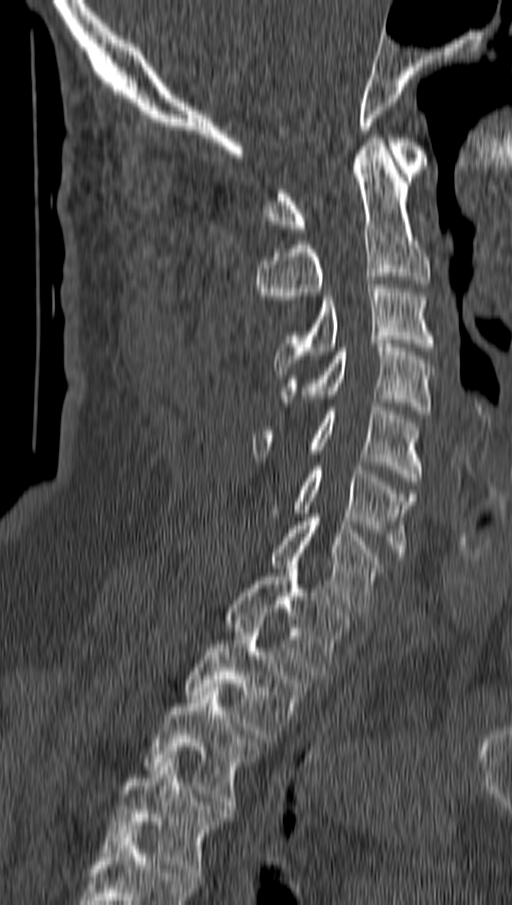
Computed tomography of the spine — sagittal reformat — bone-window reconstruction
Each box given as x1,y1,x2,y2.
| vertebra | x1 | y1 | x2 | y2 |
|---|---|---|---|---|
| C1 | 263 | 138 | 426 | 232 |
| C2 | 257 | 138 | 430 | 315 |
| C3 | 274 | 284 | 433 | 374 |
| C4 | 282 | 344 | 433 | 414 |
| C5 | 253 | 407 | 420 | 485 |
| C6 | 292 | 466 | 417 | 560 |
| C7 | 184 | 514 | 382 | 611 |
| T1 | 225 | 561 | 351 | 679 |
| T2 | 184 | 624 | 310 | 742 |
| T3 | 143 | 687 | 262 | 809 |
| T4 | 102 | 759 | 231 | 880 |